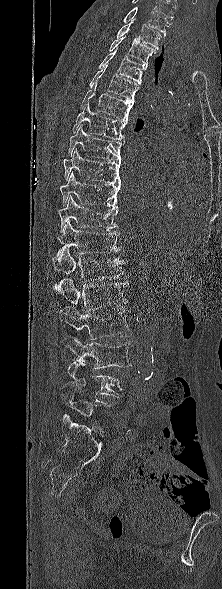
CT · 222 mm image width · sagittal view
Boxes below are [x1, y1, x2, y2] in pixels.
The highest labeled vertebra in this scan is T1; the lowest is L5.
{"vertebrae":{"T1":[116,22,161,49],"T2":[108,36,155,65],"T3":[98,48,147,84],"T4":[89,65,139,101],"T5":[80,83,133,120],"T6":[72,103,127,140],"T7":[68,125,124,160],"T8":[62,148,121,184],"T9":[59,172,120,207],"T10":[58,195,117,232],"T11":[57,221,120,254],"T12":[52,249,125,281],"L1":[54,278,129,312],"L2":[60,307,130,339],"L3":[63,335,131,368],"L4":[61,361,122,397],"L5":[59,386,111,421]}}